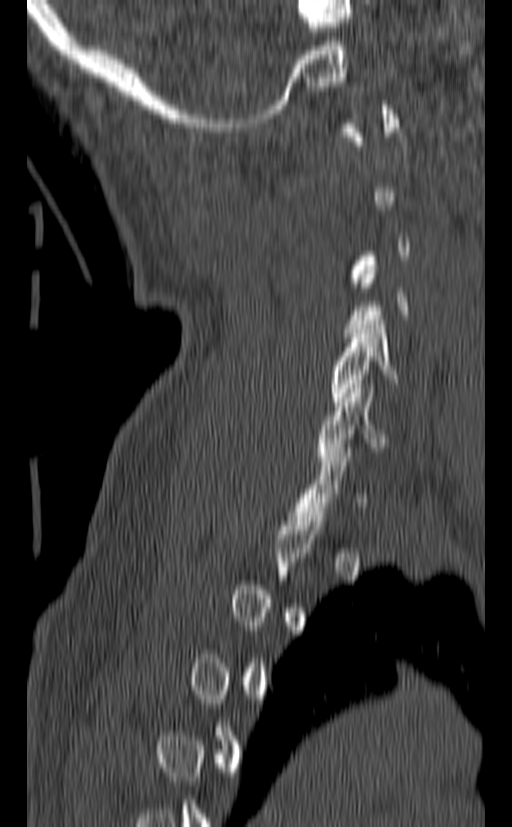

Computed tomography of the spine. sagittal view. W/L 1800/400 HU
A vertebra is boxed only from the first to the last slice where its cross-section is at least a third of its largest; slices outside that range leave it without a box.
<vertebrae><v name="C5" x1="330" y1="320" x2="400" y2="406"/><v name="C6" x1="318" y1="384" x2="391" y2="465"/></vertebrae>